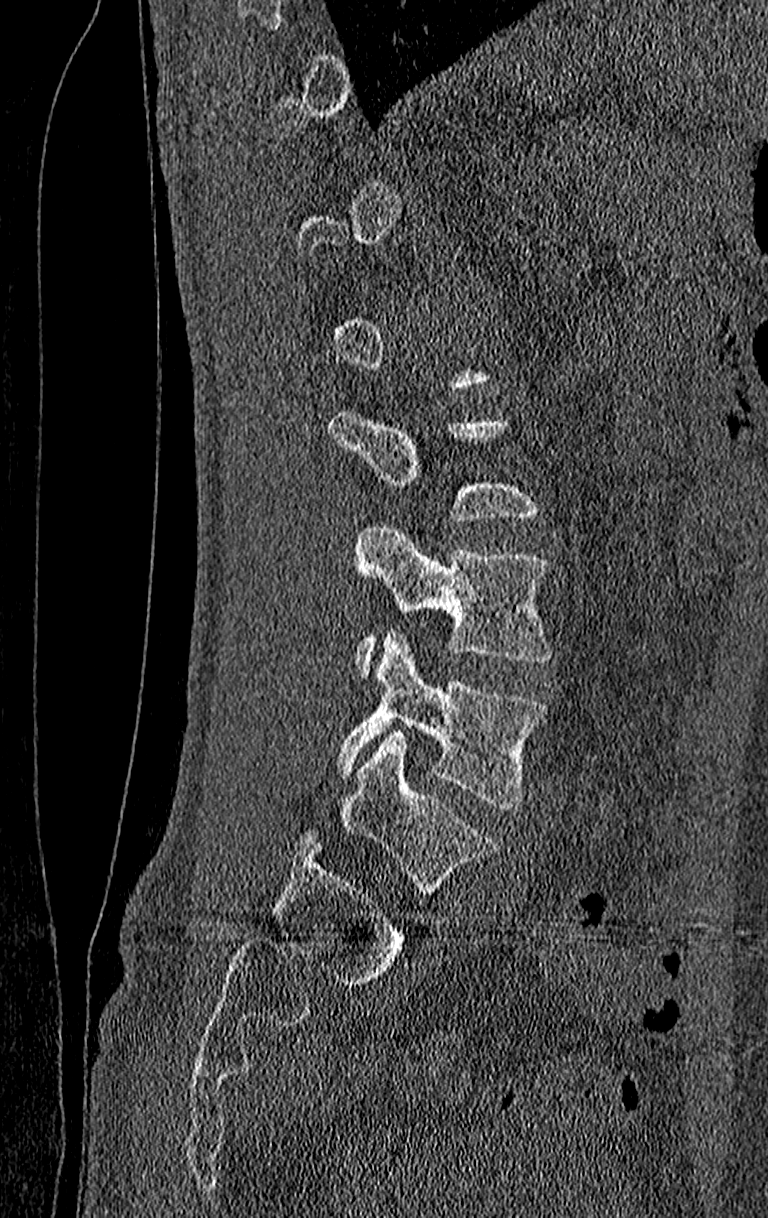

Spine CT — sagittal view — image width 210 mm
A vertebra gets a box only on the slices from the first to the last where its cross-section is at least a third of its largest; on a slice outside that range it gets none.
The highest labeled vertebra in this scan is T11; the lowest is L4.
<vertebrae><v name="L3" x1="353" y1="523" x2="550" y2="677"/><v name="L4" x1="335" y1="630" x2="546" y2="809"/></vertebrae>